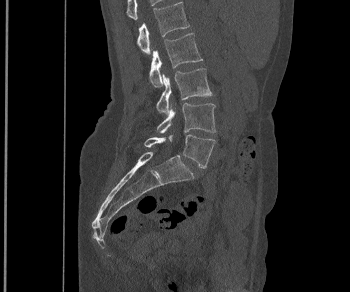 Spine computed tomography; sagittal view; Bone window (WL 400, WW 1800); 350x292 px; the image spans 350 mm across. Boxes: x1 y1 x2 y2 (pixel coords, space-separated).
L1: 137 1 189 54
L2: 149 33 202 87
L3: 156 68 212 114
L4: 157 103 216 133
L5: 144 134 215 168